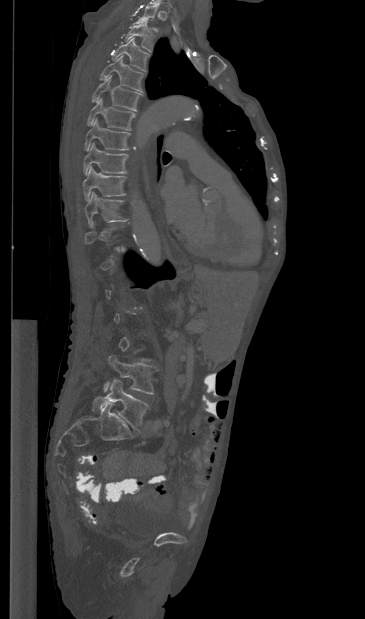

Computed tomography of the spine — sagittal view — the image spans 365 mm across
Box edges are left/top/right/bottom in pixels.
Each vertebra is boxed only on the slices from the first to the last where its cross-section reaches a third of its largest, so a slice outside that range leaves it unboxed.
Vertebra bounding boxes:
- L5: left=92, top=379, right=148, bottom=430
- L4: left=103, top=355, right=156, bottom=394
- T10: left=84, top=192, right=127, bottom=227
- T9: left=83, top=166, right=125, bottom=200
- T8: left=83, top=142, right=128, bottom=174
- T7: left=84, top=118, right=130, bottom=150
- T6: left=87, top=98, right=135, bottom=130
- T5: left=92, top=75, right=141, bottom=111
- T4: left=100, top=55, right=144, bottom=91
- T3: left=112, top=38, right=149, bottom=71
- T2: left=125, top=22, right=153, bottom=51